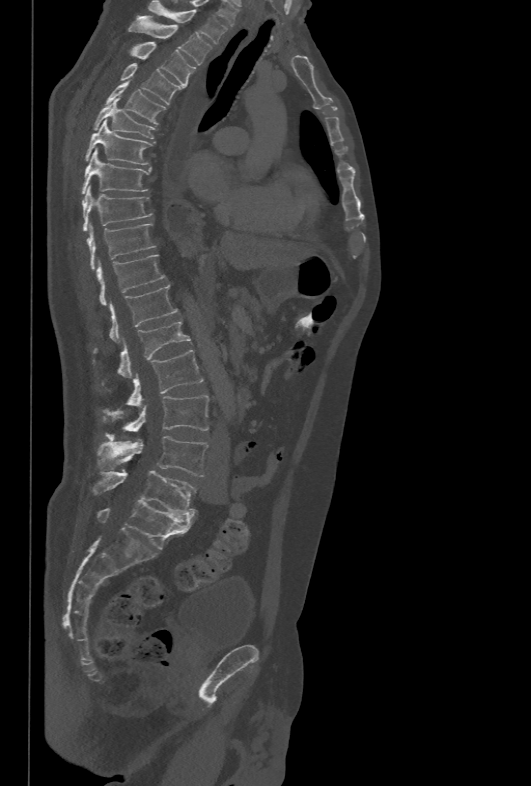 Spine CT — sagittal reformat
Box values are [left, top, right, bottom] in pixels.
{"vertebrae":{"T1":[147,0,227,43],"T2":[128,16,213,65],"T3":[128,42,196,86],"T4":[120,63,184,104],"T5":[106,82,166,124],"T6":[93,98,156,138],"T7":[84,119,153,164],"T8":[81,148,150,194],"T9":[82,186,153,232],"T10":[87,224,157,271],"T11":[96,254,166,305],"T12":[109,285,177,343],"L1":[93,320,190,377],"L2":[126,349,203,405],"L3":[104,395,209,439],"L4":[98,436,208,476],"L5":[90,470,196,512]}}